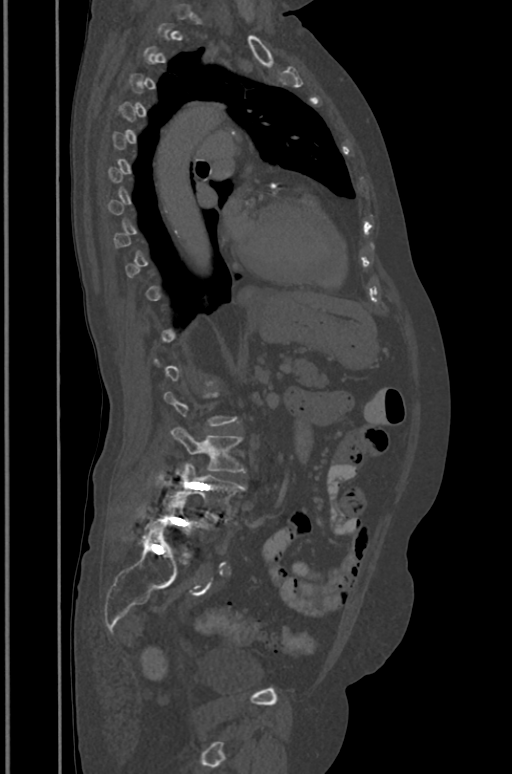
CT, spine. sagittal view. bone-window reconstruction. 512x774 px
Bounding boxes as [x1, y1, x2, y2] in pixel coordinates. A vertebra is boxed only from the first to the last slice where its cross-section is at least a third of its largest; slices outside that range leave it without a box. 3 vertebrae labeled — L3 at [172, 427, 245, 472]; L4 at [164, 463, 243, 520]; L5 at [158, 495, 210, 534].